Spine computed tomography; sagittal plane, index 153; bone-window reconstruction
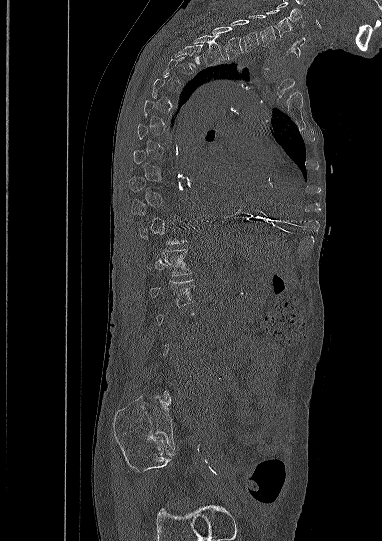
Not every vertebra on this slice has a box: a vertebra is boxed only from the first to the last slice where its cross-section is at least a third of its largest, and this slice is outside that range for at least one of them.
<vertebrae><v name="C5" x1="266" y1="9" x2="292" y2="36"/><v name="C6" x1="248" y1="15" x2="275" y2="46"/><v name="C7" x1="231" y1="19" x2="258" y2="51"/><v name="T1" x1="212" y1="26" x2="242" y2="59"/><v name="T2" x1="194" y1="34" x2="223" y2="65"/><v name="T12" x1="147" y1="249" x2="191" y2="276"/><v name="L1" x1="149" y1="280" x2="195" y2="305"/></vertebrae>